CT, spine — sagittal view — Bone window (WL 400, WW 1800) — 340x297 px
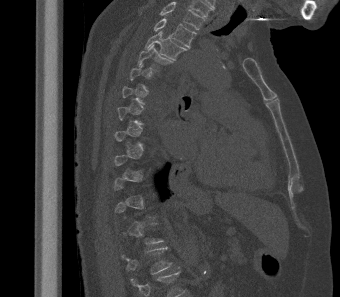

A vertebra is boxed only from the first to the last slice where its cross-section is at least a third of its largest; slices outside that range leave it without a box.
This scan's labels start at T2 at the top and end at L1 at the bottom.
<vertebrae><v name="T2" x1="154" y1="18" x2="197" y2="47"/><v name="T3" x1="145" y1="31" x2="187" y2="60"/><v name="T4" x1="137" y1="44" x2="173" y2="71"/><v name="L1" x1="121" y1="247" x2="172" y2="274"/></vertebrae>